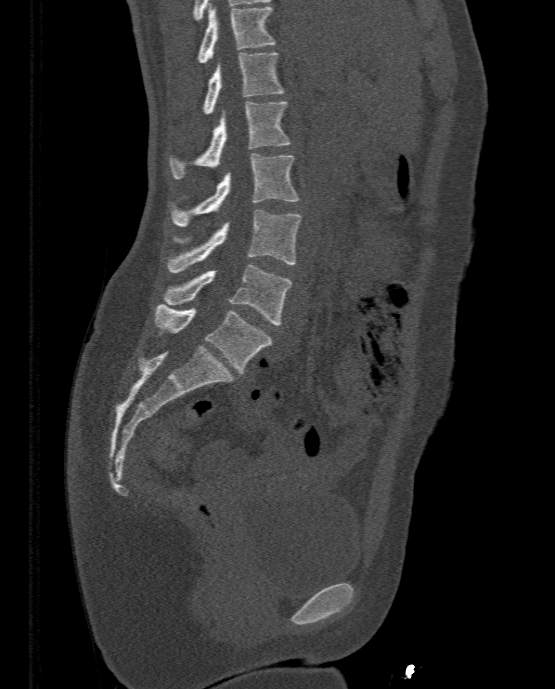 Spine computed tomography — sagittal view

<vertebrae><v name="T11" x1="198" y1="3" x2="275" y2="62"/><v name="T12" x1="203" y1="52" x2="284" y2="114"/><v name="L1" x1="170" y1="101" x2="291" y2="178"/><v name="L2" x1="170" y1="154" x2="298" y2="226"/><v name="L3" x1="166" y1="210" x2="303" y2="272"/><v name="L4" x1="164" y1="263" x2="292" y2="325"/><v name="L5" x1="155" y1="303" x2="272" y2="373"/></vertebrae>